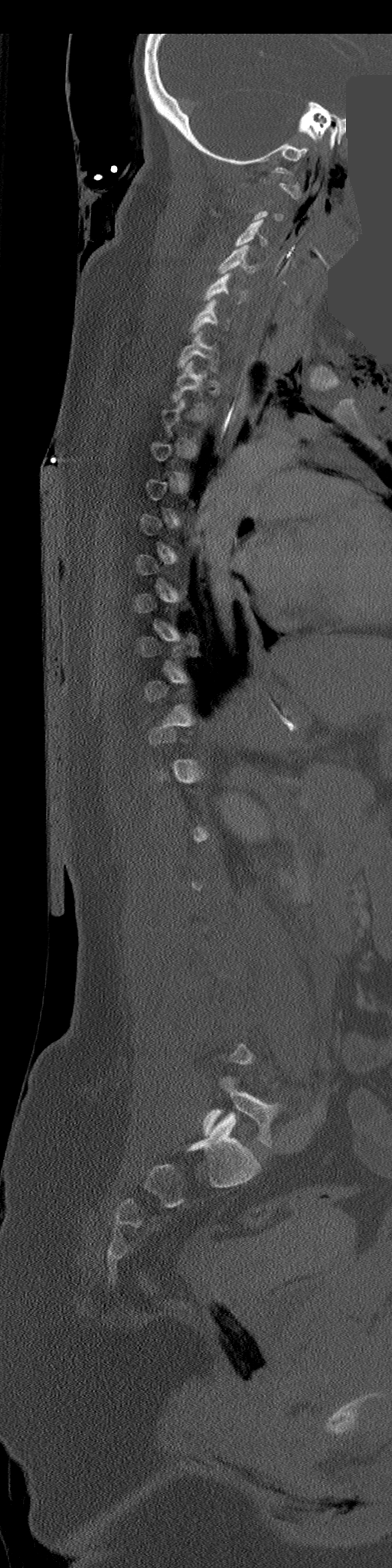
Spine CT. sagittal reformat. W/L 1800/400 HU. part of the image has been replaced by a constant value

Each vertebra maps to its box as [x1, y1, x2, y2], the pixel coordinates of its top-left and bottom-right corners.
Not every vertebra on this slice has a box: a vertebra is boxed only from the first to the last slice where its cross-section is at least a third of its largest, and this slice is outside that range for at least one of them.
{"vertebrae":{"C1":[271,167,301,200],"C3":[234,219,268,247],"C4":[217,245,255,273],"C5":[204,273,245,304],"C6":[191,299,217,333],"C7":[178,332,217,371],"T1":[171,360,204,402],"L5":[202,1076,279,1149]}}